Computed tomography of the spine — sagittal view — 512x933 px — a region is masked with a constant gray value
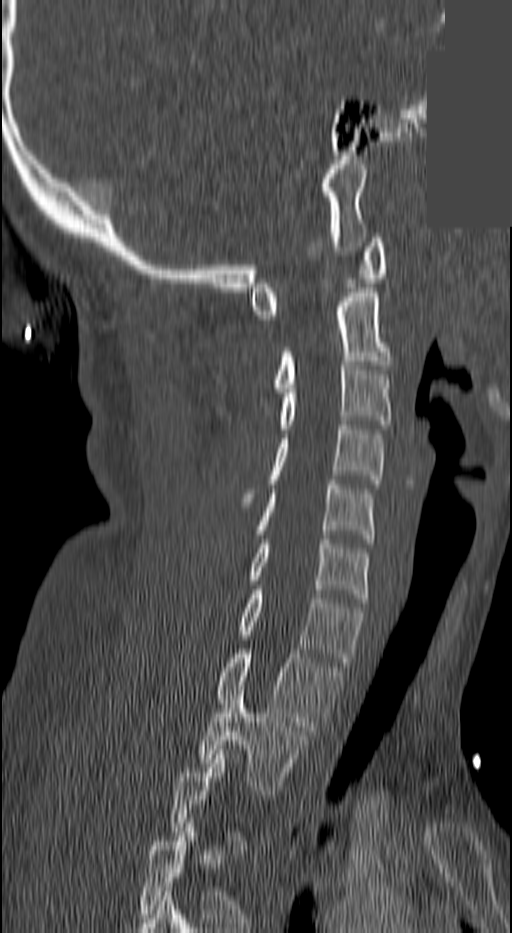

Boxes: x1 y1 x2 y2 (pixel coords, space-separated). Each vertebra is boxed only on the slices from the first to the last where its cross-section reaches a third of its largest, so a slice outside that range leaves it unboxed. Vertebrae labeled: C1 at 250 238 384 319, C2 at 276 293 388 392, C3 at 280 361 392 433, C4 at 245 421 384 502, C5 at 257 480 373 543, C6 at 250 539 370 602, C7 at 239 590 362 666, T1 at 217 649 340 735, T2 at 199 690 306 794.